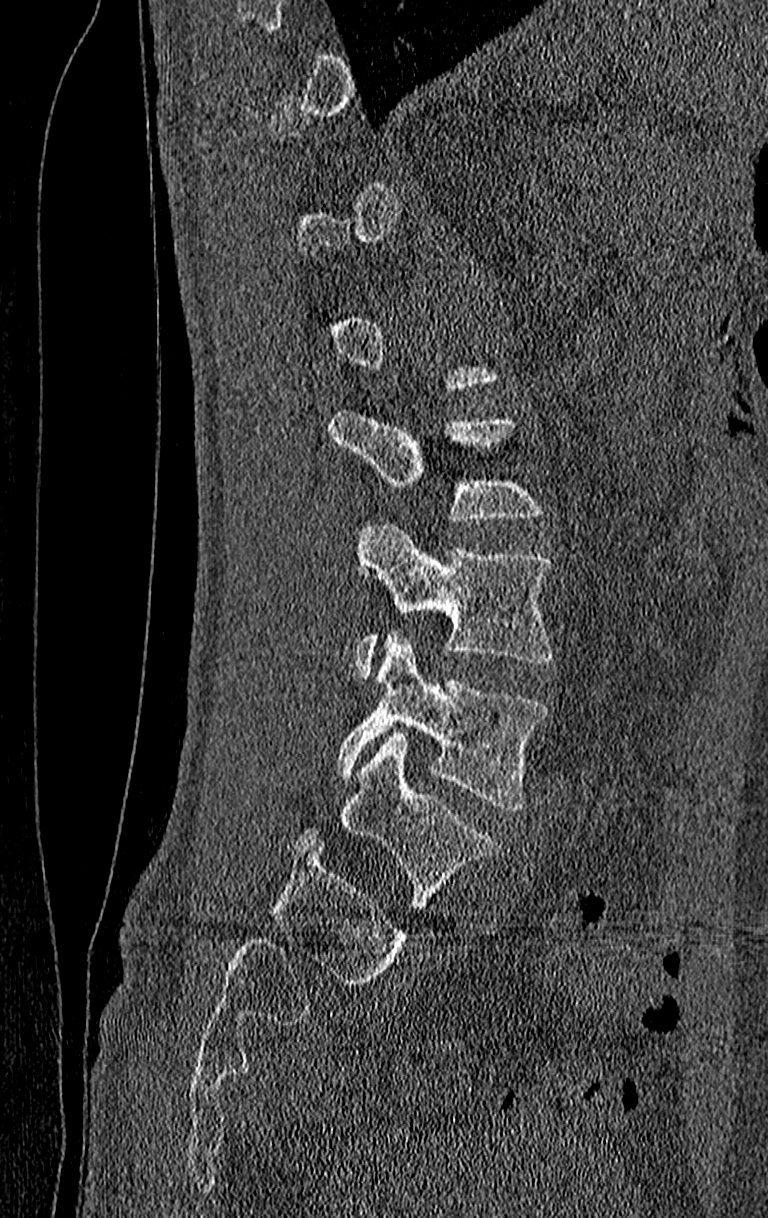
CT, spine — sagittal view — bone-window reconstruction — 768x1218 px
Each vertebra is boxed only on the slices from the first to the last where its cross-section reaches a third of its largest, so a slice outside that range leaves it unboxed.
The highest labeled vertebra in this scan is T11; the lowest is L4.
<vertebrae><v name="L3" x1="353" y1="523" x2="550" y2="677"/><v name="L4" x1="335" y1="630" x2="546" y2="809"/></vertebrae>